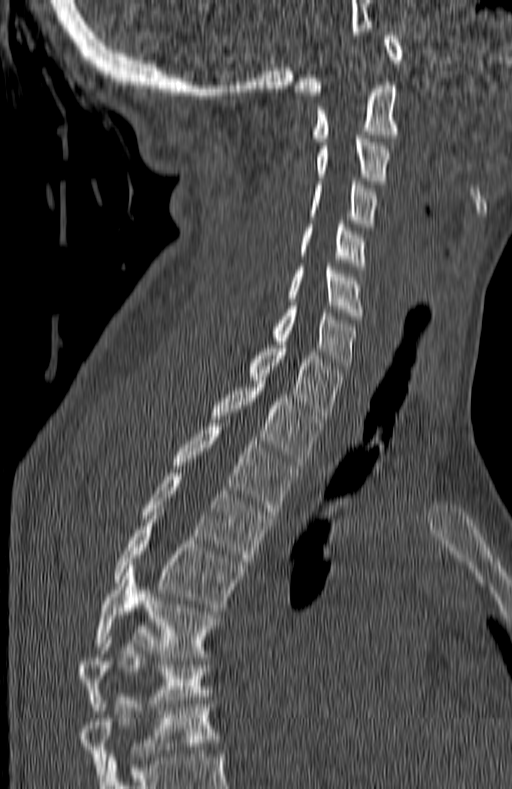 Spine computed tomography — sagittal reformat — W/L 1800/400 HU

Boxes: x1:y1:x2:y2 in pixels.
The highest labeled vertebra in this scan is C1; the lowest is T7.
T7: 78:633:208:710
T6: 95:569:219:657
T5: 115:516:242:611
T4: 140:473:273:564
T3: 172:427:296:515
T2: 211:384:324:465
T1: 248:341:341:419
C7: 271:306:355:369
C6: 288:267:364:319
C5: 300:224:367:269
C4: 308:181:378:227
C3: 316:135:390:184
C2: 311:82:401:141
C1: 295:32:402:95